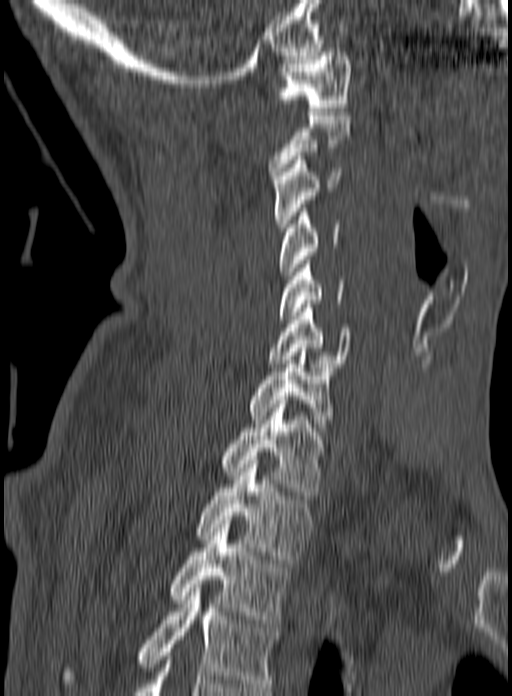

Spine CT; sagittal view
Labels in this scan begin with C1 at the top and end with T3 at the bottom.
<vertebrae><v name="C1" x1="278" y1="48" x2="351" y2="111"/><v name="C2" x1="268" y1="112" x2="352" y2="179"/><v name="C3" x1="273" y1="156" x2="342" y2="231"/><v name="C4" x1="280" y1="204" x2="339" y2="279"/><v name="C5" x1="279" y1="260" x2="344" y2="319"/><v name="C6" x1="267" y1="304" x2="352" y2="367"/><v name="C7" x1="248" y1="348" x2="334" y2="431"/><v name="T1" x1="219" y1="400" x2="333" y2="499"/><v name="T2" x1="196" y1="464" x2="311" y2="559"/><v name="T3" x1="168" y1="516" x2="291" y2="623"/></vertebrae>